CT — Sagittal slice 61/154 — image width 154 mm — 154x295 px — scan covers 5 annotated vertebrae
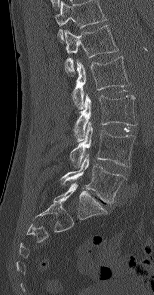 In this scan, the topmost labeled vertebra is L1 and the lowest is L5.
<vertebrae><v name="L1" x1="64" y1="25" x2="118" y2="73"/><v name="L2" x1="72" y1="56" x2="129" y2="109"/><v name="L3" x1="74" y1="95" x2="137" y2="141"/><v name="L4" x1="69" y1="122" x2="134" y2="167"/><v name="L5" x1="60" y1="155" x2="126" y2="203"/></vertebrae>